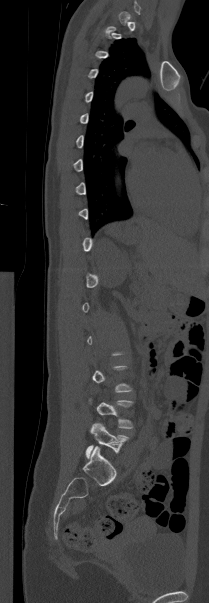
Computed tomography of the spine. sagittal view. W/L 1800/400 HU. 209x603 px. image 209 mm wide
Box edges are left/top/right/bottom in pixels.
Each vertebra is boxed only on the slices from the first to the last where its cross-section reaches a third of its largest, so a slice outside that range leaves it unboxed.
Vertebra bounding boxes:
- L4: left=88, top=399, right=133, bottom=428
- L5: left=86, top=423, right=128, bottom=458